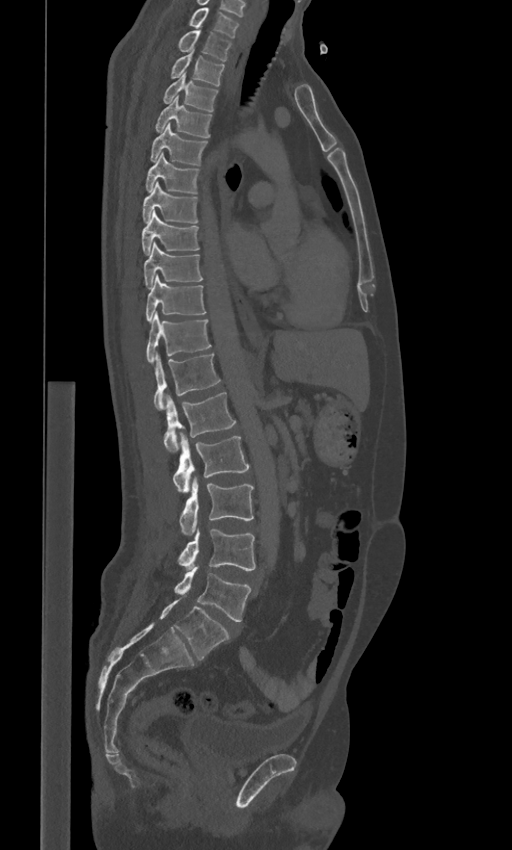 CT, spine — sagittal view — bone-window reconstruction
Box edges are left/top/right/bottom in pixels.
These labels give the spine a sixth lumbar vertebra, L6, below L5.
| vertebra | x1 | y1 | x2 | y2 |
|---|---|---|---|---|
| C7 | 189 | 8 | 238 | 37 |
| T1 | 178 | 30 | 231 | 60 |
| T2 | 171 | 49 | 224 | 86 |
| T3 | 163 | 72 | 217 | 111 |
| T4 | 155 | 97 | 212 | 137 |
| T5 | 150 | 123 | 206 | 164 |
| T6 | 146 | 152 | 198 | 194 |
| T7 | 142 | 182 | 197 | 223 |
| T8 | 142 | 211 | 199 | 254 |
| T9 | 143 | 242 | 202 | 288 |
| T10 | 146 | 275 | 206 | 321 |
| T11 | 146 | 311 | 210 | 362 |
| T12 | 154 | 352 | 220 | 410 |
| L1 | 164 | 392 | 236 | 453 |
| L2 | 173 | 433 | 249 | 493 |
| L3 | 179 | 476 | 253 | 536 |
| L4 | 178 | 528 | 254 | 570 |
| L5 | 174 | 567 | 250 | 621 |
| L6 | 159 | 598 | 229 | 660 |